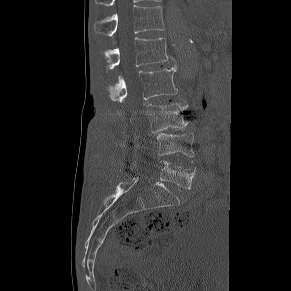

Spine computed tomography · sagittal reformat · 291 mm wide · bone-window reconstruction
Each box is [x1, y1, x2, y2] in pixels: top-left corner, then bottom-right corner.
{"vertebrae":{"T12":[94,5,164,36],"L1":[104,37,167,69],"L2":[108,65,177,105],"L3":[147,103,188,132],"L4":[157,131,193,161],"L5":[130,161,195,188]}}